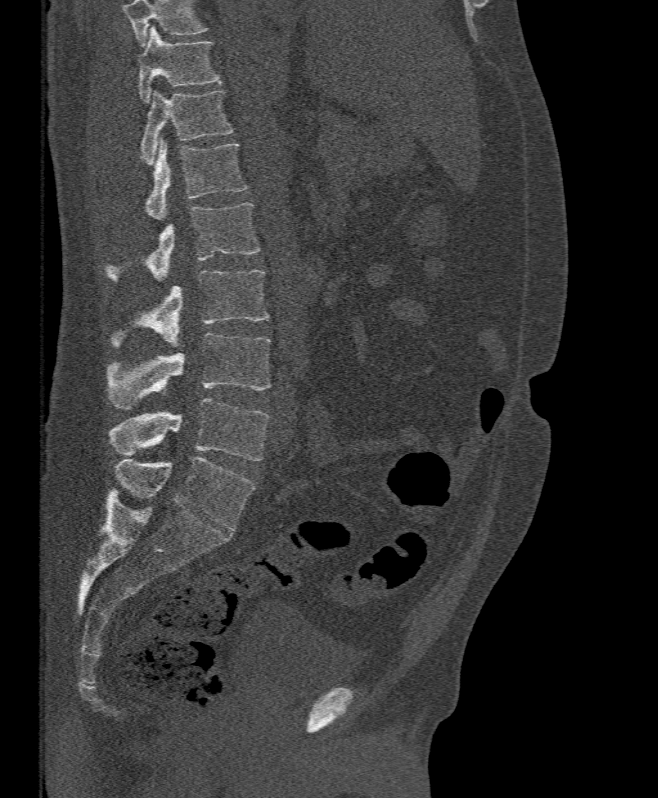
Spine computed tomography; sagittal view
Where the top of the scan cuts through a vertebra, that vertebra gets no label or box.
<vertebrae><v name="T11" x1="138" y1="25" x2="220" y2="102"/><v name="T12" x1="140" y1="90" x2="234" y2="165"/><v name="L1" x1="145" y1="138" x2="247" y2="221"/><v name="L2" x1="105" y1="203" x2="259" y2="281"/><v name="L3" x1="112" y1="270" x2="269" y2="347"/><v name="L4" x1="103" y1="333" x2="270" y2="409"/><v name="L5" x1="108" y1="398" x2="269" y2="461"/></vertebrae>